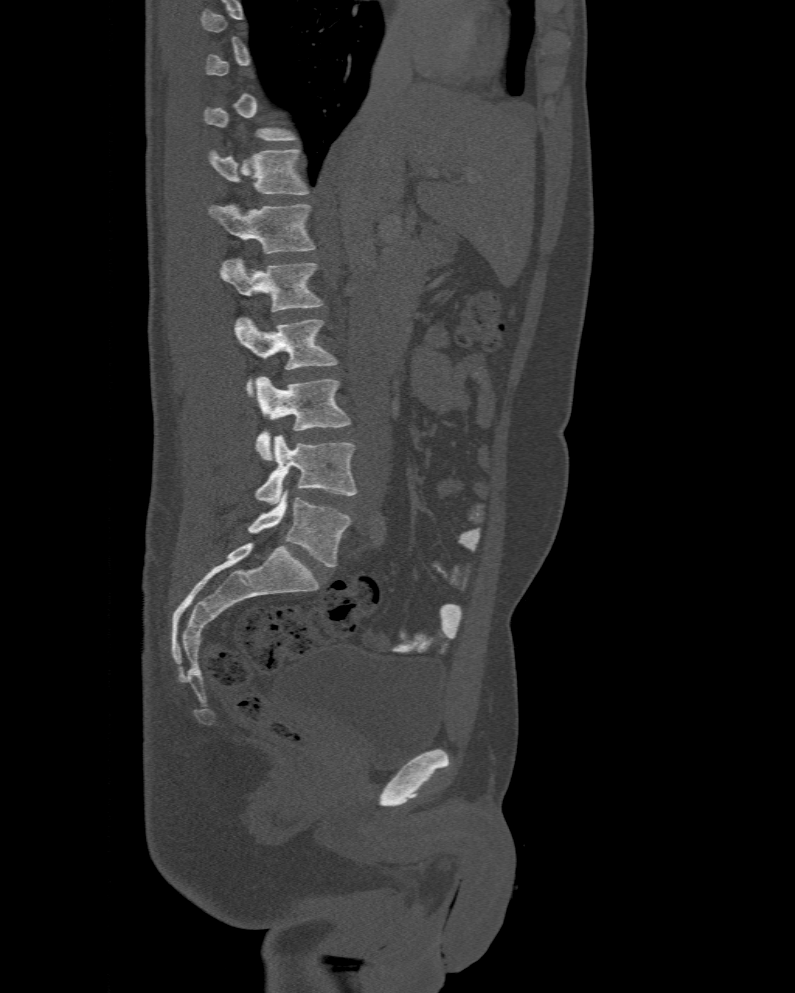 Spine computed tomography · sagittal view
Box edges are left/top/right/bottom in pixels.
Each vertebra is boxed only on the slices from the first to the last where its cross-section reaches a third of its largest, so a slice outside that range leaves it unboxed.
These labels give the spine a sixth lumbar vertebra, L6, below L5.
| vertebra | x1 | y1 | x2 | y2 |
|---|---|---|---|---|
| L6 | 247 | 490 | 350 | 567 |
| L5 | 255 | 435 | 358 | 505 |
| L4 | 255 | 377 | 350 | 461 |
| L3 | 234 | 317 | 337 | 397 |
| L2 | 220 | 257 | 324 | 311 |
| L1 | 208 | 203 | 316 | 252 |
| T12 | 208 | 149 | 310 | 194 |